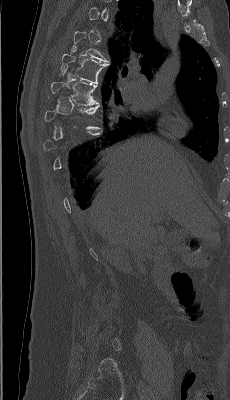
CT, spine. sagittal view. 230x400 px. Each box given as x1,y1,x2,y2.
A vertebra is boxed only from the first to the last slice where its cross-section is at least a third of its largest; slices outside that range leave it without a box.
Vertebra bounding boxes:
- T6: x1=60, y1=48, x2=109, y2=85
- T7: x1=50, y1=69, x2=98, y2=105